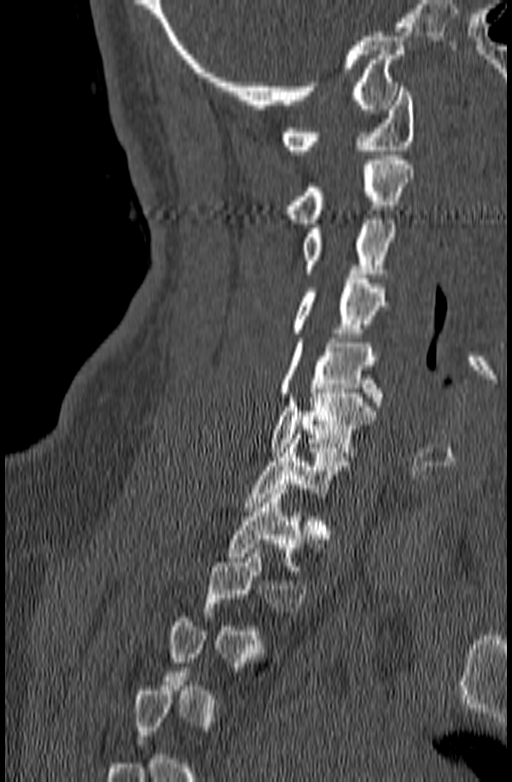
CT spine — sagittal view — W/L 1800/400 HU — the image spans 140 mm across
Boxes: x1 y1 x2 y2 (pixel coords, space-separated).
A vertebra is boxed only from the first to the last slice where its cross-section is at least a third of its largest; slices outside that range leave it without a box.
Vertebra bounding boxes:
- C1: 282 87 414 154
- C2: 287 155 414 223
- C3: 301 215 397 278
- C4: 290 274 388 337
- C5: 279 338 381 406
- C6: 269 389 376 456
- C7: 244 434 351 511
- T1: 226 489 325 570